CT spine — sagittal view — W/L 1800/400 HU — 391x670 px
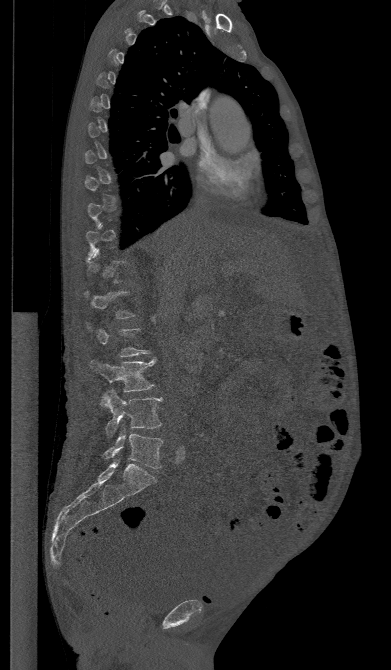

Each row gives a vertebra's box as x1, y1, x2, y2 in pixels: top-left corner, then bottom-right corner.
A vertebra gets a box only on the slices from the first to the last where its cross-section is at least a third of its largest; on a slice outside that range it gets none.
| vertebra | x1 | y1 | x2 | y2 |
|---|---|---|---|---|
| L3 | 90 | 358 | 155 | 391 |
| L4 | 100 | 390 | 162 | 435 |
| L5 | 104 | 427 | 163 | 468 |